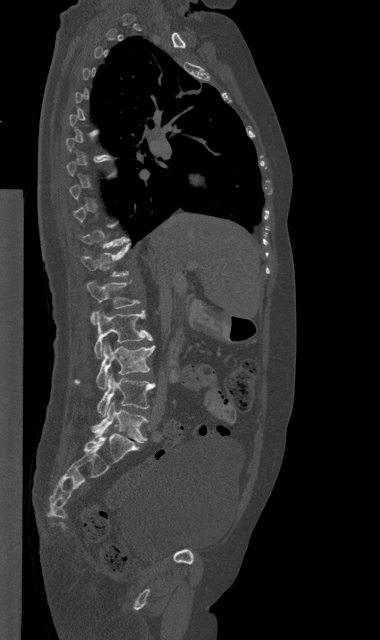

Computed tomography of the spine · image width 380 mm · sagittal view · 380x640 px
Boxes: x1:y1:x2:y2 in pixels.
A vertebra is boxed only from the first to the last slice where its cross-section is at least a third of its largest; slices outside that range leave it without a box.
T12: 82:243:130:276
L1: 86:281:139:324
L2: 94:310:152:358
L3: 75:342:154:389
L4: 97:374:155:416
L5: 91:402:147:442